CT spine — sagittal plane, index 487 — bone window — 768x1012 px
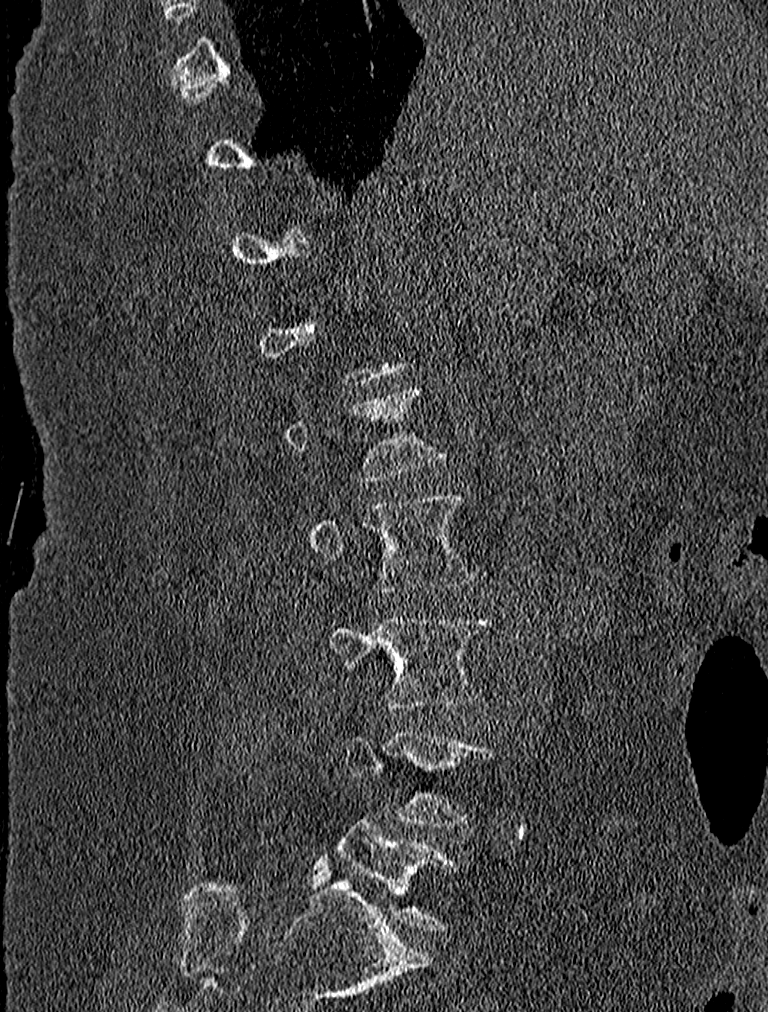
Boxes: x1:y1:x2:y2 in pixels. Each vertebra is boxed only on the slices from the first to the last where its cross-section reaches a third of its largest, so a slice outside that range leaves it unboxed. 4 vertebrae labeled — L2 at 310:495:478:593; L3 at 327:614:492:708; L4 at 341:731:494:826; L5 at 338:818:458:931.